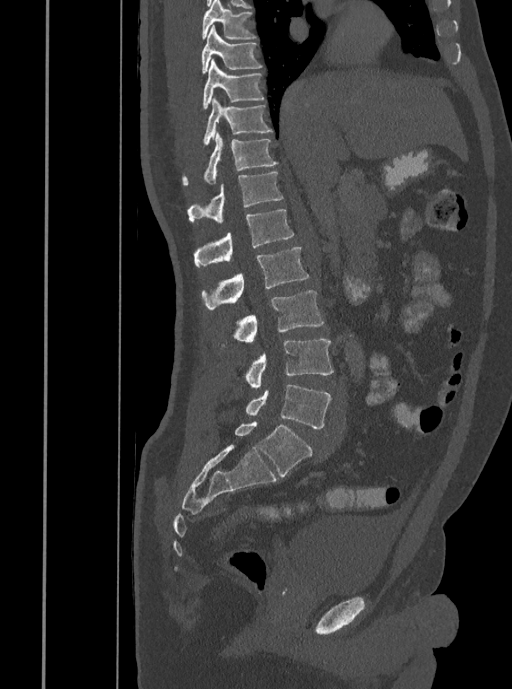

CT, spine · sagittal view. Boxes are (x1, y1, x2, y2) in pixels.
L5: (246, 384, 331, 428)
L4: (246, 339, 333, 389)
L3: (233, 290, 324, 341)
L2: (202, 247, 309, 310)
L1: (193, 210, 294, 267)
T12: (187, 171, 284, 223)
T11: (182, 132, 277, 185)
T10: (203, 98, 272, 145)
T9: (202, 59, 265, 109)
T8: (201, 25, 262, 74)
T7: (202, 0, 256, 40)